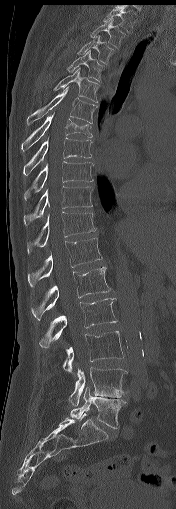 CT spine — sagittal view — bone window — 176 mm wide — 176x509 px
Boxes: x1 y1 x2 y2 (pixel coords, space-separated). The labeled vertebrae in this slice are: T1 at 103 7 136 33, T2 at 90 18 125 50, T3 at 77 36 113 63, T4 at 67 49 104 82, T5 at 53 68 99 102, T6 at 27 87 98 125, T7 at 21 112 92 152, T8 at 23 137 92 176, T9 at 24 161 94 201, T10 at 23 186 93 226, T11 at 27 211 96 253, T12 at 28 237 102 288, L1 at 31 267 110 320, L2 at 38 298 116 347, L3 at 63 331 123 372, L4 at 68 367 128 406, L5 at 70 387 126 428.